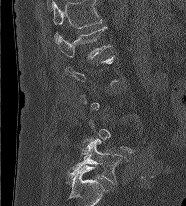

CT — sagittal view
Boxes below are [x1, y1, x2, y2] in pixels.
A vertebra gets a box only on the slices from the first to the last where its cross-section is at least a third of its largest; on a slice outside that range it gets none.
This scan's labels start at L1 at the top and end at L5 at the bottom.
{"vertebrae":{"L5":[68,138,125,183],"L1":[58,26,111,59]}}